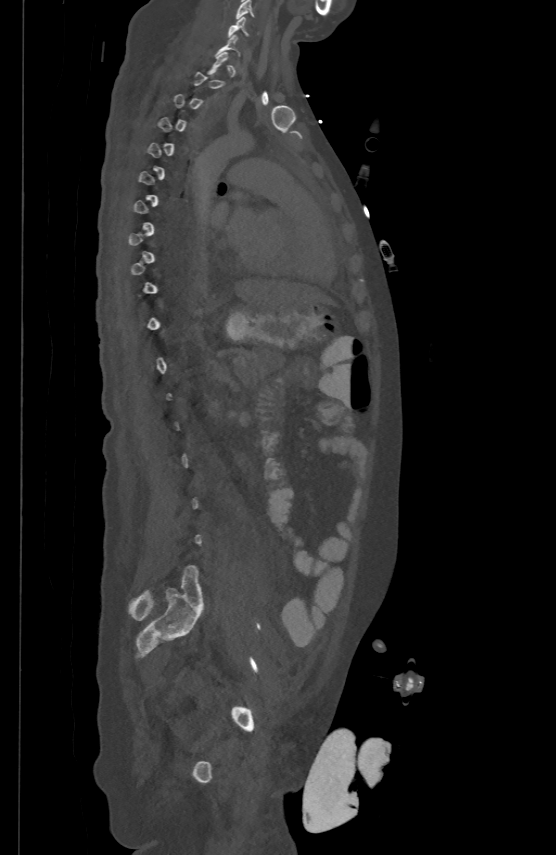
CT spine. sagittal view. bone-window reconstruction. 500 mm across the image
Boxes: x1 y1 x2 y2 (pixel coords, space-separated).
Not every vertebra on this slice has a box: a vertebra is boxed only from the first to the last slice where its cross-section is at least a third of its largest, and this slice is outside that range for at least one of them.
Vertebra bounding boxes:
- C5: 235 0 253 18
- C6: 228 16 247 35